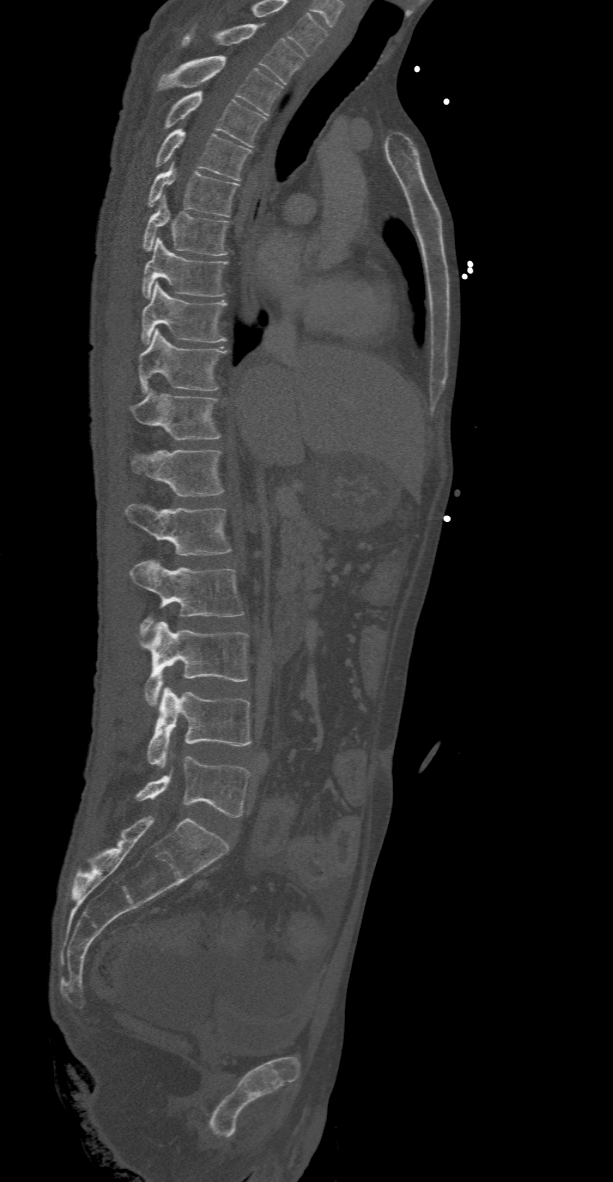 CT; sagittal view; W/L 1800/400 HU
Each vertebra maps to its box as [x1, y1, x2, y2], the pixel coordinates of its top-left and bottom-right corners.
Labels in this scan begin with T2 at the top and end with L5 at the bottom.
{"vertebrae":{"T2":[183,24,303,83],"T3":[157,56,282,115],"T4":[163,91,267,146],"T5":[155,129,251,180],"T6":[146,166,239,216],"T7":[141,197,229,255],"T8":[141,237,229,298],"T9":[141,282,227,343],"T10":[138,329,227,391],"T11":[129,389,221,440],"T12":[129,449,224,496],"L1":[126,503,233,555],"L2":[129,559,243,639],"L3":[140,621,248,705],"L4":[146,687,251,765],"L5":[134,756,251,816]}}